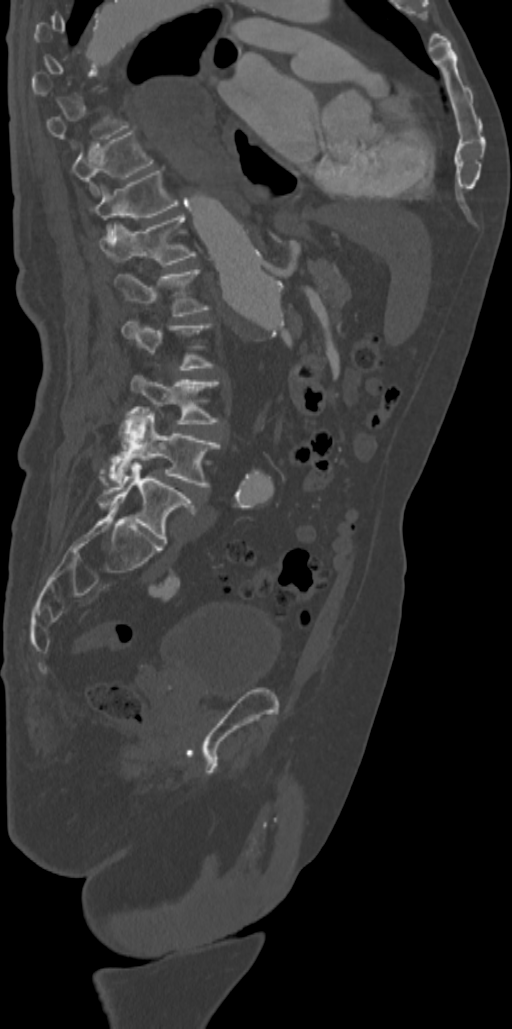

CT spine. sagittal view. 512x1029 px
Each vertebra maps to its box as [x1, y1, x2, y2], the pixel coordinates of its top-left and bottom-right corners.
Not every vertebra on this slice has a box: a vertebra is boxed only from the first to the last slice where its cross-section is at least a third of its largest, and this slice is outside that range for at least one of them.
{"vertebrae":{"L5":[97,463,196,543],"L4":[100,411,219,486],"L3":[130,373,219,424],"L2":[121,319,213,370],"L1":[115,270,208,316],"T12":[100,216,195,264],"T11":[93,171,178,239],"T10":[72,130,153,192]}}